CT, spine — sagittal plane, index 274 — Bone window (WL 400, WW 1800) — 512x712 px — 350 mm across the image
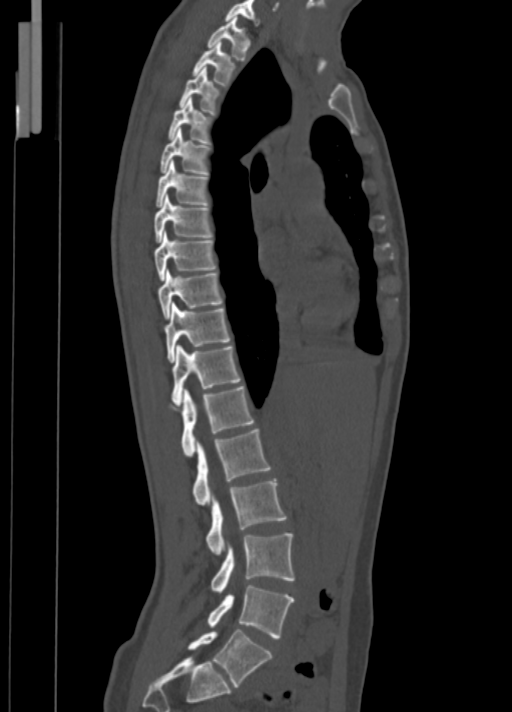 Each vertebra maps to its box as [x1, y1, x2, y2], the pixel coordinates of its top-left and bottom-right corners.
{"vertebrae":{"L5":[188,629,272,687],"L4":[207,585,294,638],"L3":[210,532,294,593],"L2":[206,480,287,553],"L1":[193,429,271,505],"T12":[181,386,253,457],"T11":[172,345,240,404],"T10":[164,303,230,362],"T9":[158,269,223,318],"T8":[153,231,217,280],"T7":[153,195,212,243],"T6":[156,159,208,207],"T5":[160,129,209,175],"T4":[168,98,211,144],"T3":[180,67,220,115],"T2":[193,41,236,85],"T1":[207,16,250,60],"C7":[225,0,259,24]}}